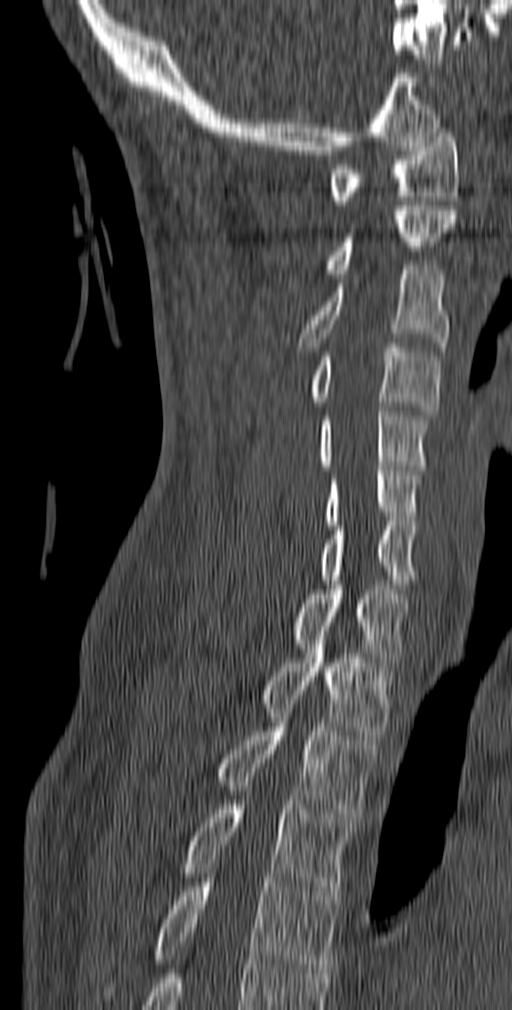 Computed tomography of the spine. sagittal view. bone-window reconstruction. 512x1010 px
Boxes: x1 y1 x2 y2 (pixel coords, space-separated).
Vertebra bounding boxes:
- T5: 102 878 339 996
- T4: 178 800 354 900
- T3: 217 718 378 817
- T2: 263 631 393 740
- T1: 291 585 409 666
- C7: 320 521 415 584
- C6: 325 466 421 525
- C5: 319 407 428 470
- C4: 311 343 440 415
- C3: 298 265 450 351
- C2: 323 206 456 278
- C1: 327 128 460 209